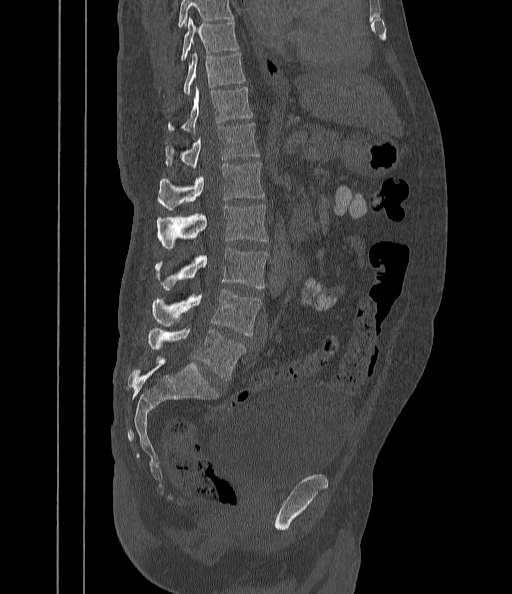
Spine CT; sagittal view; bone-window reconstruction; image 442 mm wide; 512x594 px

Coordinates as <box>x1,y1,x2,y2</box>.
No box is given to a vertebra that the top edge of the scan cuts off.
Vertebra bounding boxes:
- T9: <box>181,17,239,60</box>
- T10: <box>183,52,244,95</box>
- T11: <box>168,87,253,133</box>
- T12: <box>164,123,260,168</box>
- L1: <box>157,162,264,209</box>
- L2: <box>157,205,268,249</box>
- L3: <box>155,248,268,289</box>
- L4: <box>152,290,261,336</box>
- L5: <box>148,328,246,380</box>